CT, spine · sagittal view
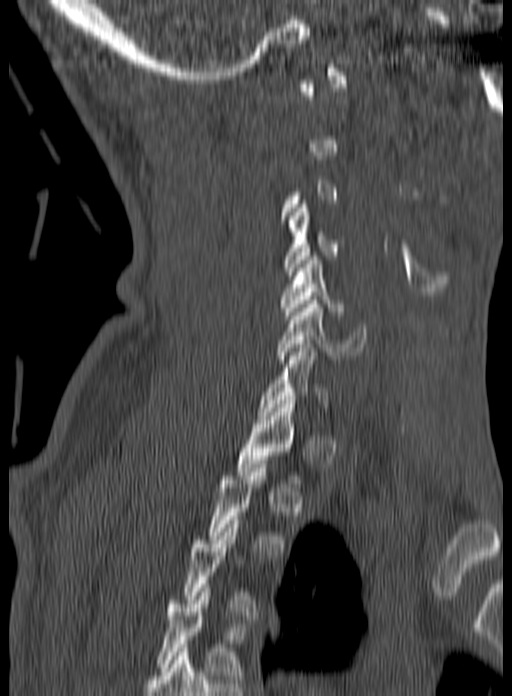 Box edges are left/top/right/bottom in pixels.
Each vertebra is boxed only on the slices from the first to the last where its cross-section reaches a third of its largest, so a slice outside that range leaves it unboxed.
C4: left=285, top=204, right=345, bottom=279
C5: left=280, top=256, right=342, bottom=315
C6: left=276, top=300, right=367, bottom=363